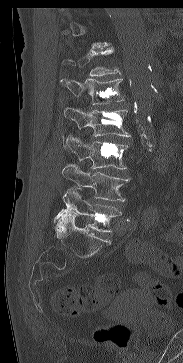

Spine CT. sagittal view. Bone window (WL 400, WW 1800). 183x363 px. the image is 183 mm wide

Box values are [left, top, right, bottom] in pixels.
Each vertebra is boxed only on the slices from the first to the last where its cross-section reaches a third of its largest, so a slice outside that range leaves it unboxed.
{"vertebrae":{"L5":[53,188,121,232],"L4":[62,164,129,201],"L3":[64,135,128,168],"L2":[64,107,130,136],"L1":[60,78,123,104],"T12":[60,47,121,76]}}